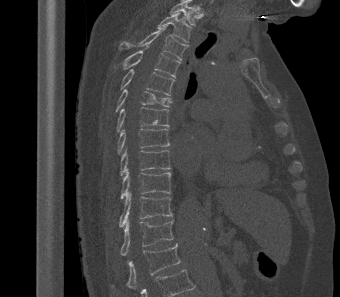 Spine computed tomography · sagittal view · W/L 1800/400 HU · 340x297 px
Boxes: x1 y1 x2 y2 (pixel coords, space-separated).
This scan's labels start at T2 at the top and end at L1 at the bottom.
T2: 157 12 191 42
T3: 119 28 187 60
T4: 121 47 180 77
T5: 120 69 175 95
T6: 115 89 172 112
T7: 116 107 169 132
T8: 117 128 170 154
T9: 120 149 171 176
T10: 120 169 171 199
T11: 119 192 172 227
T12: 120 219 174 255
L1: 126 243 180 290